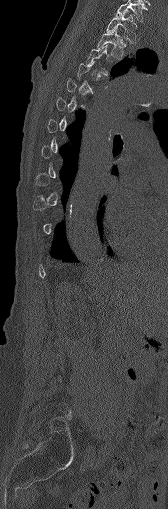
CT, spine — the image spans 168 mm across — sagittal view. Boxes: x1 y1 x2 y2 (pixel coords, space-separated).
Not every vertebra on this slice has a box: a vertebra is boxed only from the first to the last slice where its cross-section is at least a third of its largest, and this slice is outside that range for at least one of them.
T3: 86 44 116 73
T2: 97 27 122 58
T1: 106 11 137 42
C7: 116 0 145 22